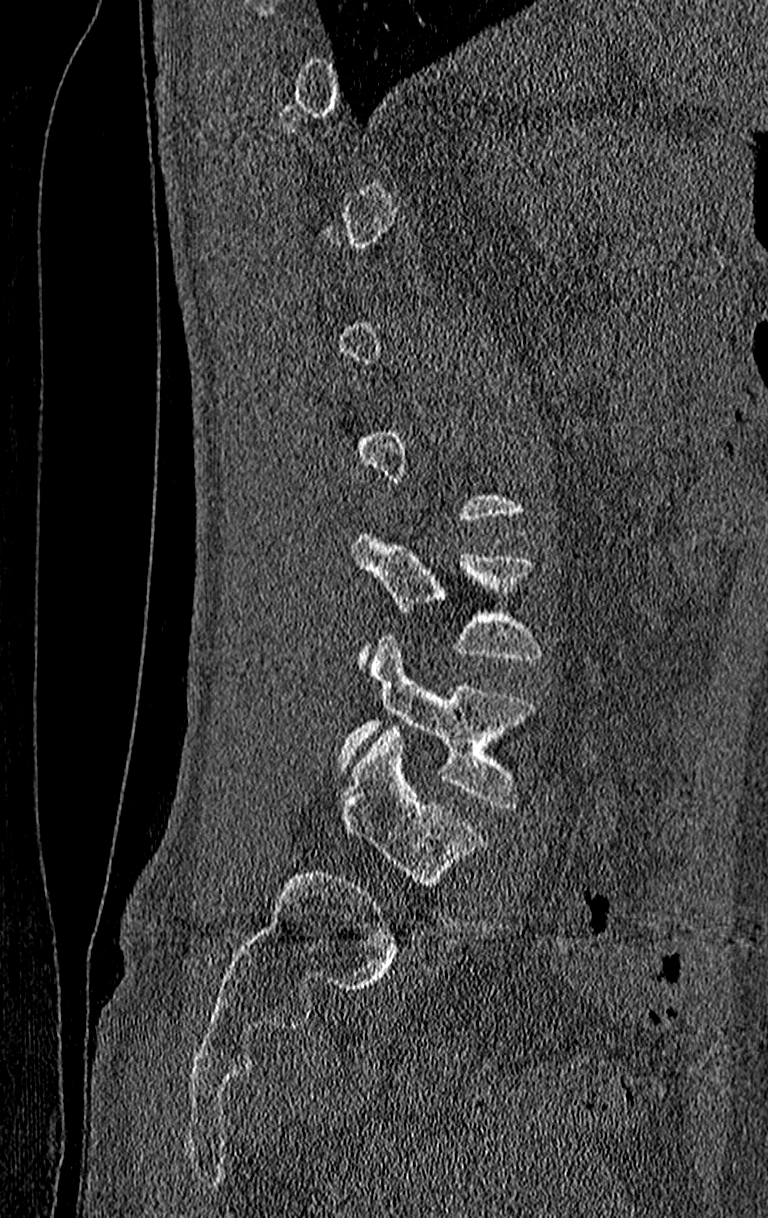

CT, spine. image width 210 mm. sagittal view
Boxes below are [x1, y1, x2, y2] in pixels.
A vertebra is boxed only from the first to the last slice where its cross-section is at least a third of its largest; slices outside that range leave it without a box.
Labels in this scan begin with T11 at the top and end with L4 at the bottom.
{"vertebrae":{"L3":[353,532,539,669],"L4":[339,637,532,809]}}